CT; the image spans 182 mm across; sagittal reformat
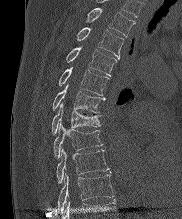

Boxes: x1 y1 x2 y2 (pixel coords, space-separated).
Vertebra bounding boxes:
- T10: 58 174 114 212
- T9: 56 149 110 183
- T8: 53 123 103 158
- T7: 51 104 100 134
- T6: 52 85 105 112
- T5: 58 67 108 95
- T4: 66 47 117 76
- T3: 76 27 124 59
- T2: 86 8 134 37